Spine computed tomography. sagittal view. W/L 1800/400 HU
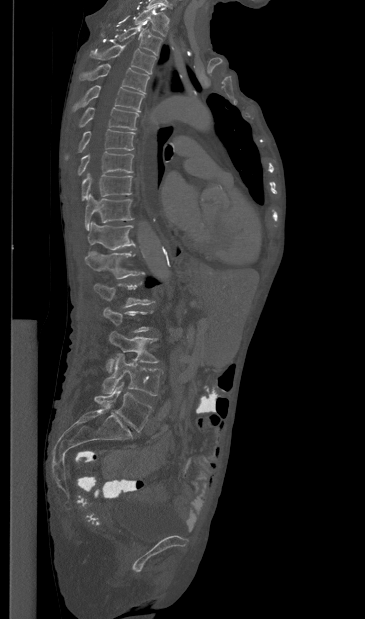

A vertebra is boxed only from the first to the last slice where its cross-section is at least a third of its largest; slices outside that range leave it without a box.
<vertebrae><v name="T1" x1="133" y1="6" x2="169" y2="36"/><v name="T2" x1="117" y1="25" x2="162" y2="56"/><v name="T3" x1="91" y1="44" x2="155" y2="73"/><v name="T4" x1="80" y1="64" x2="149" y2="92"/><v name="T5" x1="72" y1="85" x2="144" y2="111"/><v name="T6" x1="79" y1="107" x2="138" y2="129"/><v name="T7" x1="65" y1="129" x2="135" y2="159"/><v name="T8" x1="78" y1="151" x2="133" y2="175"/><v name="T9" x1="82" y1="173" x2="132" y2="200"/><v name="T10" x1="85" y1="193" x2="133" y2="230"/><v name="T11" x1="87" y1="221" x2="134" y2="250"/><v name="T12" x1="85" y1="251" x2="143" y2="278"/><v name="L1" x1="94" y1="281" x2="154" y2="307"/><v name="L3" x1="106" y1="331" x2="158" y2="372"/><v name="L4" x1="102" y1="354" x2="162" y2="395"/><v name="L5" x1="94" y1="382" x2="151" y2="431"/></vertebrae>